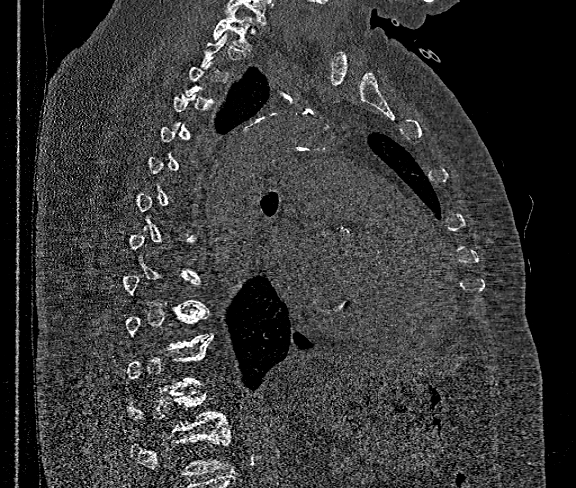
CT, spine. sagittal view. W/L 1800/400 HU

Box edges are left/top/right/bottom in pixels.
Not every vertebra on this slice has a box: a vertebra is boxed only from the first to the last slice where its cross-section is at least a third of its largest, and this slice is outside that range for at least one of them.
Vertebrae that run past the bottom of the scan are left unlabeled.
T12: left=128, top=391, right=228, bottom=431
T1: left=213, top=8, right=252, bottom=49